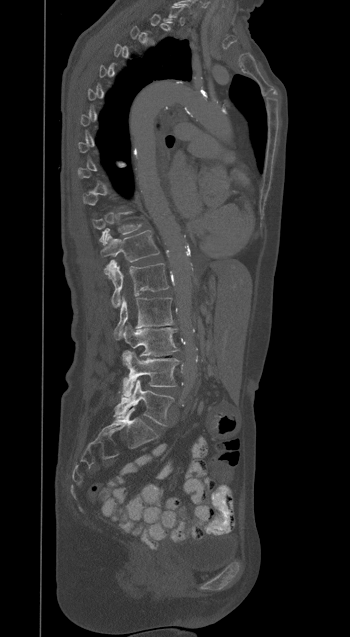
Computed tomography of the spine; sagittal view
A vertebra gets a box only on the slices from the first to the last where its cross-section is at least a third of its largest; on a slice outside that range it gets none.
<vertebrae><v name="T11" x1="92" y1="213" x2="140" y2="242"/><v name="T12" x1="101" y1="230" x2="159" y2="261"/><v name="L1" x1="104" y1="260" x2="168" y2="307"/><v name="L2" x1="114" y1="297" x2="173" y2="339"/><v name="L3" x1="123" y1="324" x2="178" y2="355"/><v name="L4" x1="122" y1="351" x2="179" y2="396"/><v name="L5" x1="113" y1="380" x2="174" y2="425"/></vertebrae>